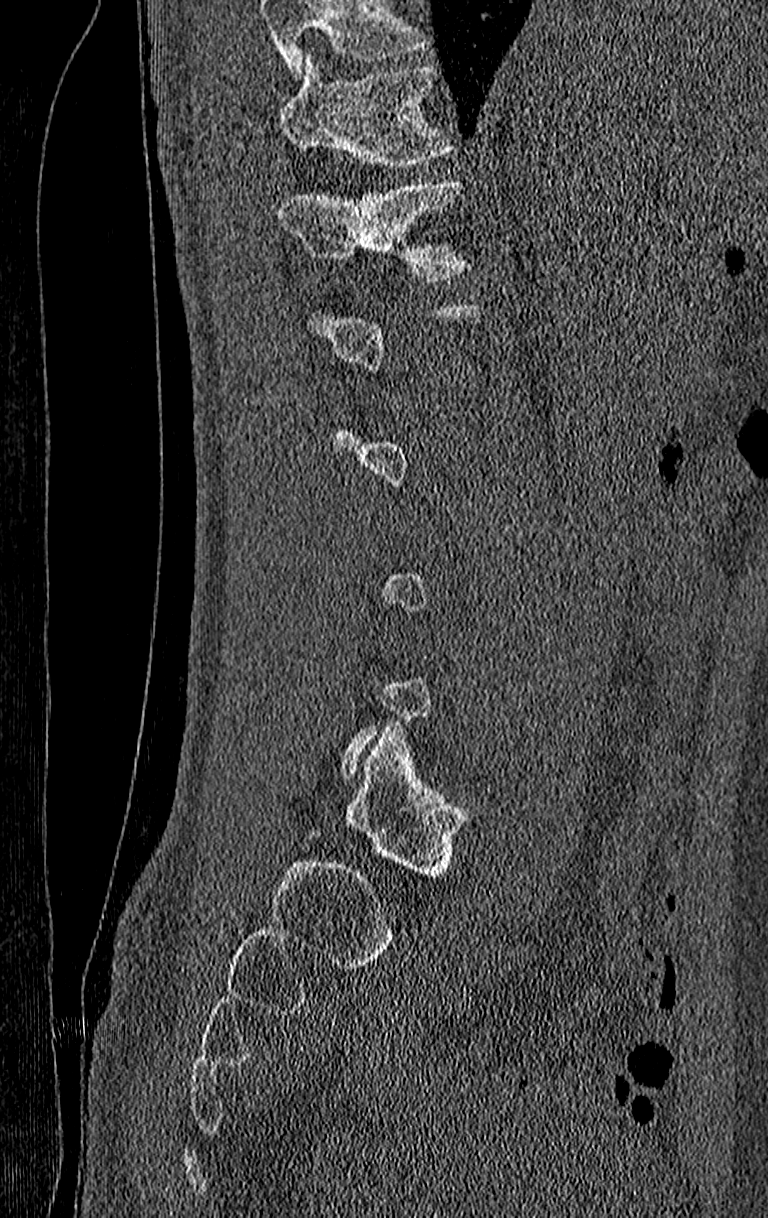

CT, spine — sagittal view — bone-window reconstruction
Bounding boxes as [x1, y1, x2, y2] in pixel coordinates. A vertebra is boxed only from the first to the last slice where its cross-section is at least a third of its largest; slices outside that range leave it without a box. A vertebra cut off by the top edge of the scan is not labeled and has no box. Vertebrae labeled: T12 at [280, 179, 473, 282], T11 at [280, 56, 455, 169].